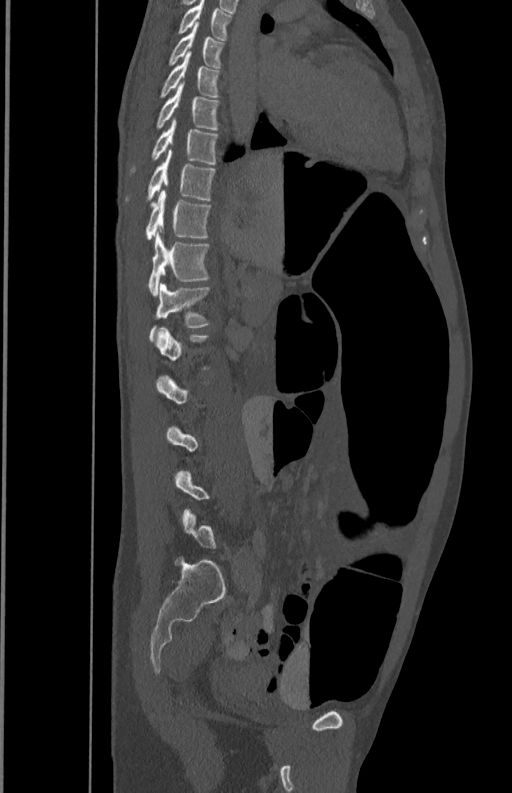 CT. sagittal view. bone-window reconstruction
Boxes are (x1, y1, x2, y2) in pixels.
A vertebra gets a box only on the slices from the first to the last where its cross-section is at least a third of its largest; on a slice outside that range it gets none.
Vertebra bounding boxes:
- L1: (149, 282, 209, 341)
- T12: (148, 232, 209, 294)
- T11: (145, 190, 211, 240)
- T10: (126, 150, 215, 202)
- T9: (130, 120, 218, 174)
- T8: (155, 83, 220, 129)
- T7: (159, 53, 220, 96)
- T6: (168, 22, 224, 67)
- T5: (177, 1, 231, 40)